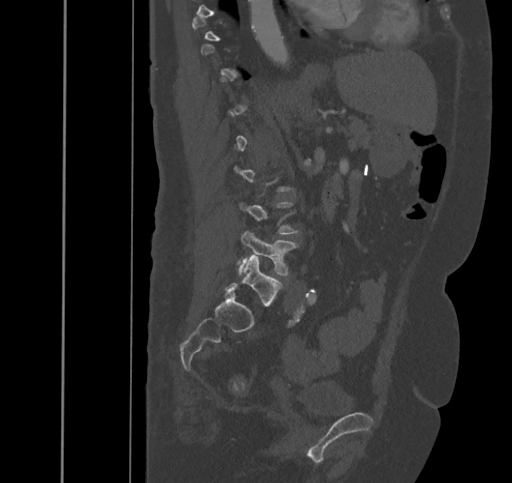

Spine CT; 445 mm image width; sagittal view; W/L 1800/400 HU; 512x483 px
Box edges are left/top/right/bottom in pixels.
A vertebra is boxed only from the first to the last slice where its cross-section is at least a third of its largest; slices outside that range leave it without a box.
Vertebra bounding boxes:
- L4: left=238, top=230, right=298, bottom=275
- L5: left=225, top=255, right=282, bottom=306